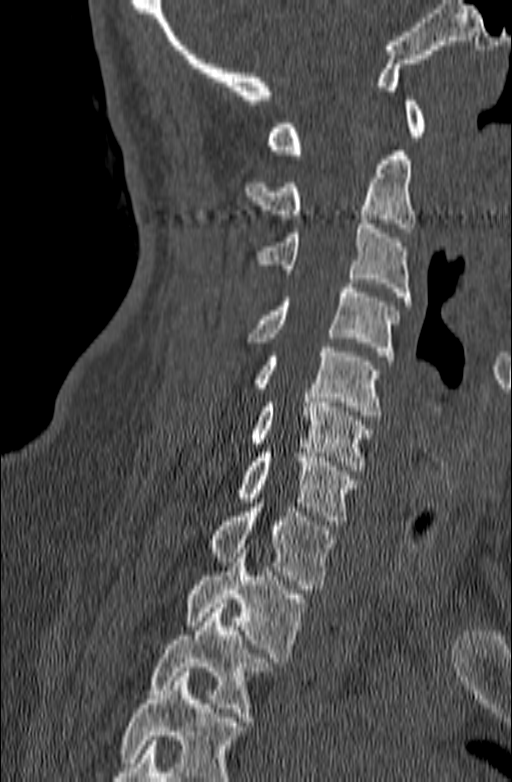
CT — sagittal view

Each box given as x1,y1,x2,y2.
Vertebrae that run past the bottom of the scan are left unlabeled.
Vertebra bounding boxes:
- C1: x1=267, y1=96, x2=425, y2=154
- C2: x1=244, y1=151, x2=414, y2=232
- C3: x1=257, y1=219, x2=411, y2=305
- C4: x1=246, y1=283, x2=399, y2=360
- C5: x1=254, y1=347, x2=381, y2=420
- C6: x1=250, y1=393, x2=373, y2=470
- C7: x1=239, y1=453, x2=359, y2=525
- T1: x1=210, y1=498, x2=333, y2=589
- T2: x1=185, y1=549, x2=304, y2=662
- T3: x1=150, y1=603, x2=271, y2=721